Spine computed tomography. sagittal reformat. bone-window reconstruction. 357x619 px. scan covers 17 annotated vertebrae
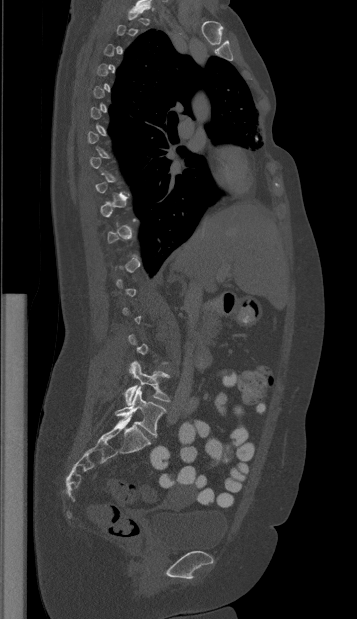

Each box given as x1,y1,x2,y2.
Not every vertebra on this slice has a box: a vertebra is boxed only from the first to the last slice where its cross-section is at least a third of its largest, and this slice is outside that range for at least one of them.
L5: x1=115, y1=387, x2=166, y2=435
L4: x1=124, y1=361, x2=169, y2=404